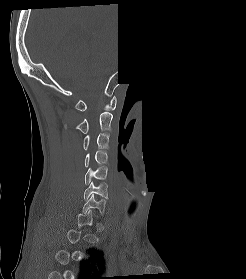

CT spine — 246 mm image width — sagittal view — bone-window reconstruction — a region of this slice is masked with a uniform fill

A vertebra gets a box only on the slices from the first to the last where its cross-section is at least a third of its largest; on a slice outside that range it gets none.
<vertebrae><v name="C1" x1="75" y1="95" x2="116" y2="111"/><v name="C2" x1="64" y1="112" x2="112" y2="133"/><v name="C3" x1="83" y1="133" x2="109" y2="150"/><v name="C4" x1="85" y1="150" x2="107" y2="167"/><v name="C5" x1="84" y1="166" x2="107" y2="184"/><v name="C6" x1="84" y1="181" x2="108" y2="201"/><v name="C7" x1="82" y1="194" x2="105" y2="215"/></vertebrae>